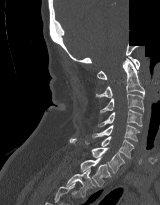 CT — sagittal view — Bone window (WL 400, WW 1800) — a portion of the image is blanked out (constant pixel value)
Box values are [left, top, right, bottom] in pixels.
{"vertebrae":{"C1":[97,56,139,79],"C2":[96,58,145,98],"C3":[99,94,144,113],"C4":[98,109,142,127],"C5":[92,125,141,141],"C6":[85,136,134,158],"C7":[70,138,124,173],"T1":[80,157,111,188],"T2":[66,169,95,196]}}